Spine CT; sagittal view
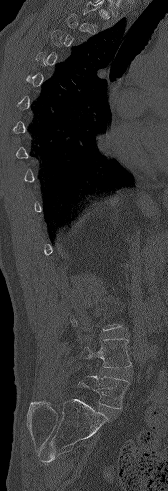 Boxes are (x1, y1, x2, y2) in pixels.
Each vertebra is boxed only on the slices from the first to the last where its cross-section reaches a third of its largest, so a slice outside that range leaves it unboxed.
L4: (80, 338, 131, 367)
L5: (78, 375, 129, 409)